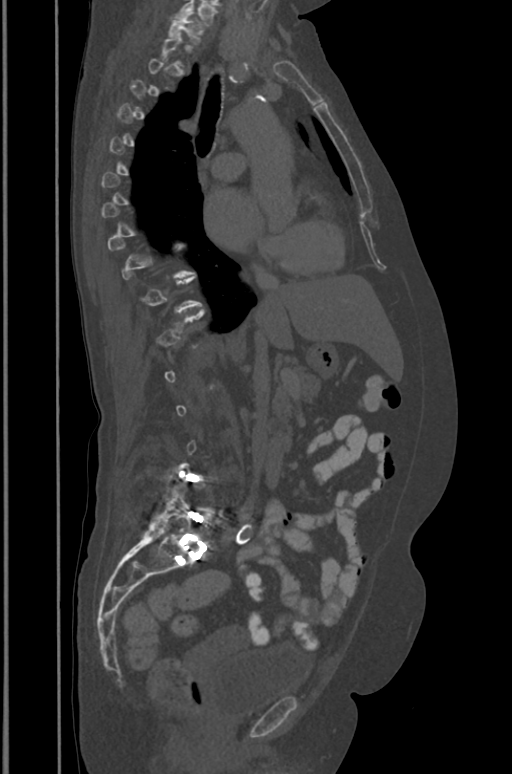 Spine CT · sagittal view

Each box is [x1, y1, x2, y2] in pixels: top-left corner, then bottom-right corner.
Not every vertebra on this slice has a box: a vertebra is boxed only from the first to the last slice where its cross-section is at least a third of its largest, and this slice is outside that range for at least one of them.
{"vertebrae":{"L5":[148,489,212,547],"T1":[168,13,203,44]}}